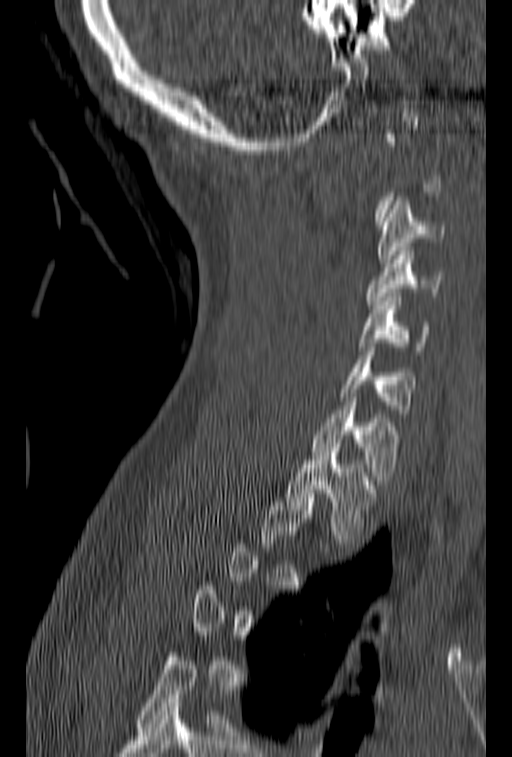 CT, spine — sagittal view — Bone window (WL 400, WW 1800) — 153 mm image width — 512x757 px
In the table, x1 and y1 are a box's top-left corner and x2 and y2 its bottom-right corner, in pixels.
Not every vertebra on this slice has a box: a vertebra is boxed only from the first to the last slice where its cross-section is at least a third of its largest, and this slice is outside that range for at least one of them.
| vertebra | x1 | y1 | x2 | y2 |
|---|---|---|---|---|
| C3 | 376 | 197 | 445 | 263 |
| C4 | 366 | 247 | 442 | 304 |
| C5 | 359 | 293 | 429 | 350 |
| C6 | 339 | 343 | 415 | 417 |
| C7 | 312 | 393 | 402 | 484 |
| T1 | 285 | 452 | 380 | 543 |